CT — sagittal view
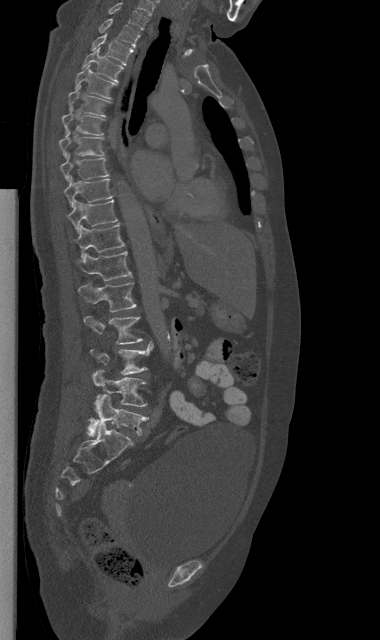

<vertebrae><v name="C7" x1="109" y1="2" x2="147" y2="29"/><v name="T1" x1="99" y1="18" x2="140" y2="47"/><v name="T2" x1="91" y1="34" x2="133" y2="65"/><v name="T3" x1="80" y1="48" x2="123" y2="82"/><v name="T4" x1="75" y1="65" x2="115" y2="98"/><v name="T5" x1="68" y1="86" x2="110" y2="117"/><v name="T6" x1="62" y1="113" x2="104" y2="136"/><v name="T7" x1="59" y1="128" x2="103" y2="158"/><v name="T8" x1="60" y1="155" x2="108" y2="182"/><v name="T9" x1="64" y1="176" x2="112" y2="207"/><v name="T10" x1="68" y1="199" x2="117" y2="232"/><v name="T11" x1="76" y1="222" x2="124" y2="257"/><v name="T12" x1="77" y1="251" x2="131" y2="281"/><v name="L1" x1="78" y1="283" x2="136" y2="312"/><v name="L2" x1="84" y1="316" x2="142" y2="344"/><v name="L3" x1="90" y1="342" x2="152" y2="374"/><v name="L4" x1="92" y1="370" x2="146" y2="412"/><v name="L5" x1="87" y1="394" x2="147" y2="436"/></vertebrae>